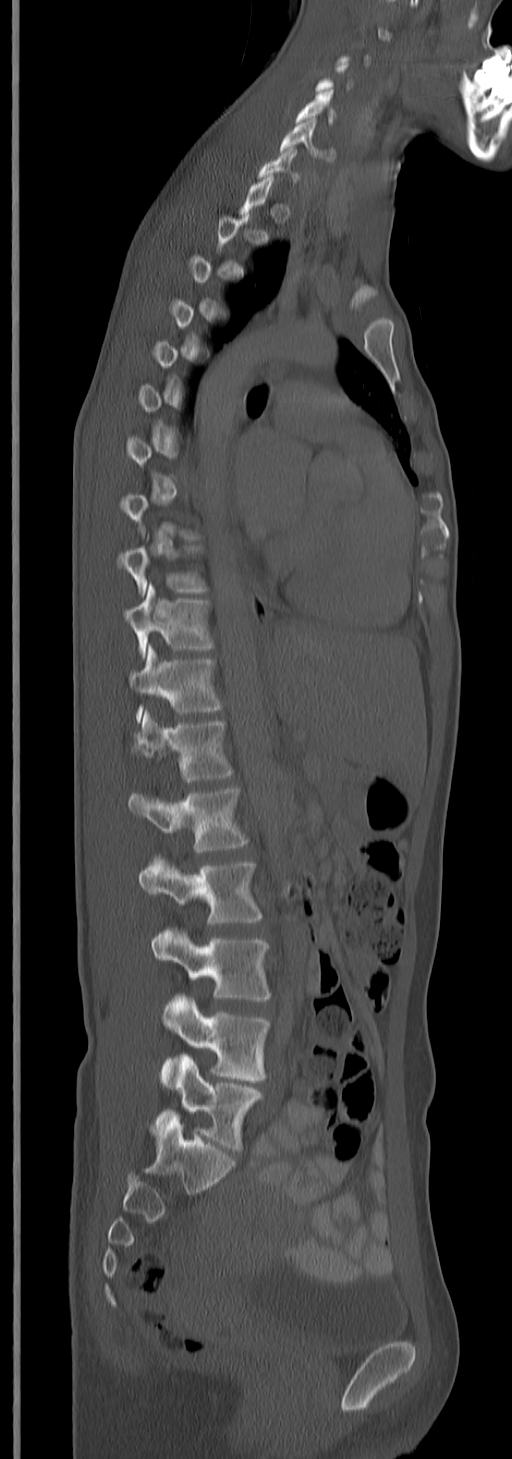

Spine CT; sagittal view

Boxes: x1 y1 x2 y2 (pixel coords, space-separated).
A vertebra is boxed only from the first to the last slice where its cross-section is at least a third of its largest; slices outside that range leave it without a box.
Vertebra bounding boxes:
- C5: 295 90 336 127
- C6: 278 116 326 158
- T9: 118 546 206 595
- T10: 124 584 213 656
- T11: 130 646 223 721
- T12: 132 711 234 781
- L1: 128 786 248 852
- L2: 138 855 263 926
- L3: 151 927 271 1001
- L4: 159 993 269 1089
- L5: 156 1054 263 1151